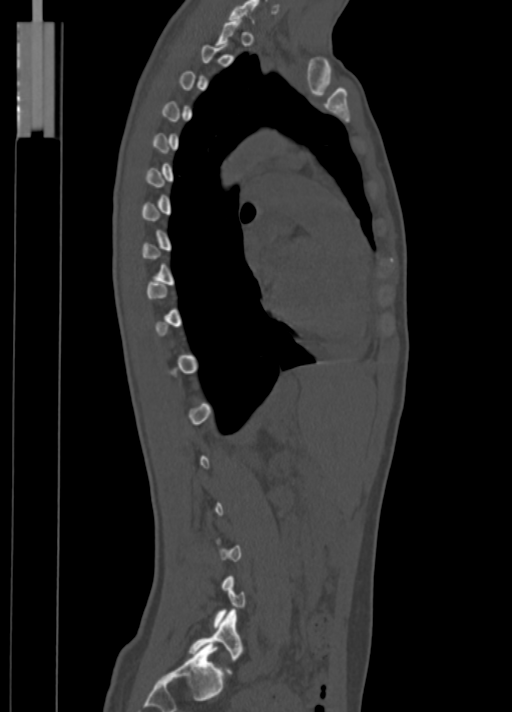

CT spine · sagittal view · Bone window (WL 400, WW 1800) · image 350 mm wide

Each vertebra is boxed only on the slices from the first to the last where its cross-section reaches a third of its largest, so a slice outside that range leaves it unboxed.
<vertebrae><v name="C7" x1="228" y1="0" x2="258" y2="22"/><v name="L5" x1="188" y1="610" x2="243" y2="673"/></vertebrae>